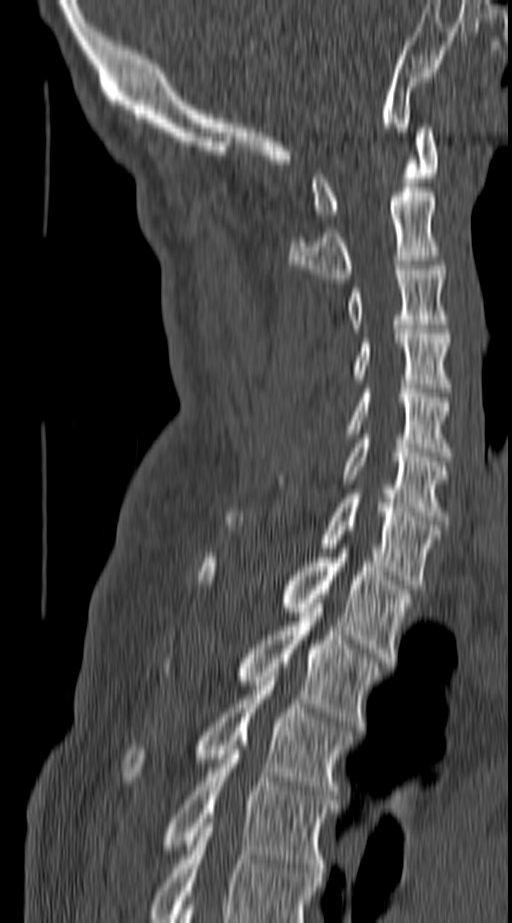

CT, spine — sagittal view — bone-window reconstruction
The highest labeled vertebra in this scan is C1; the lowest is T4.
<vertebrae><v name="C1" x1="312" y1="123" x2="436" y2="218"/><v name="C2" x1="287" y1="187" x2="436" y2="282"/><v name="C3" x1="349" y1="265" x2="447" y2="328"/><v name="C4" x1="356" y1="329" x2="450" y2="388"/><v name="C5" x1="300" y1="389" x2="450" y2="456"/><v name="C6" x1="345" y1="434" x2="447" y2="520"/><v name="C7" x1="323" y1="494" x2="439" y2="589"/><v name="T1" x1="199" y1="549" x2="410" y2="662"/><v name="T2" x1="239" y1="603" x2="381" y2="730"/><v name="T3" x1="126" y1="677" x2="348" y2="799"/><v name="T4" x1="166" y1="741" x2="333" y2="877"/></vertebrae>